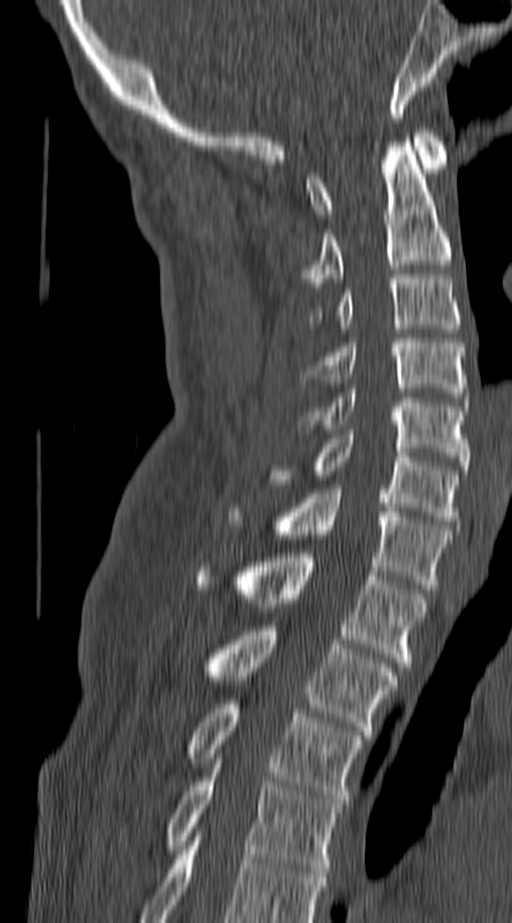
CT — sagittal reformat — 512x923 px
Boxes: x1 y1 x2 y2 (pixel coords, space-separated). In this scan, the topmost labeled vertebra is C1 and the lowest is T4. 11 vertebrae labeled — C1 at 305 128 447 218; C2 at 302 142 450 287; C3 at 312 274 461 328; C4 at 305 338 465 397; C5 at 296 389 468 470; C6 at 272 434 457 525; C7 at 228 489 450 589; T1 at 195 553 425 671; T2 at 206 626 395 735; T3 at 188 699 362 804; T4 at 166 763 340 872.